Computed tomography of the spine — sagittal plane, index 247 — bone window
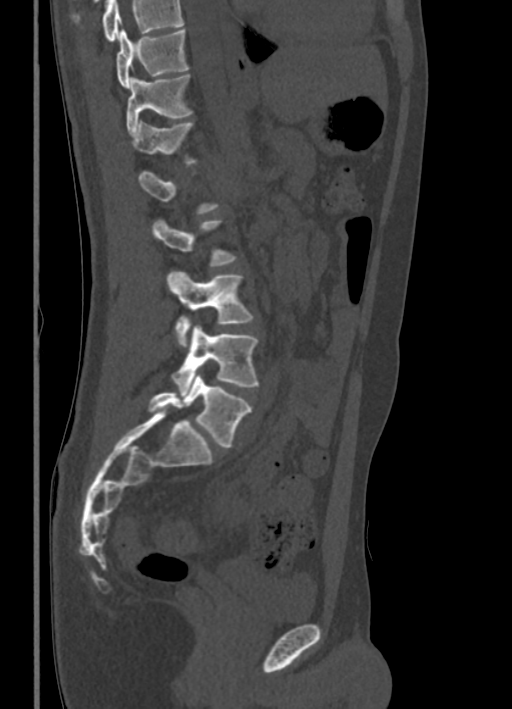

Boxes: x1 y1 x2 y2 (pixel coords, space-separated). A vertebra is boxed only from the first to the last slice where its cross-section is at least a third of its largest; slices outside that range leave it without a box. Vertebrae that run past the top of the scan are left unlabeled. Vertebrae labeled: L5 at 148 374 252 447, L4 at 172 324 258 395, L3 at 167 271 253 347, L2 at 152 220 237 266, T12 at 131 121 197 164, T11 at 126 74 192 133, T10 at 116 29 189 89.